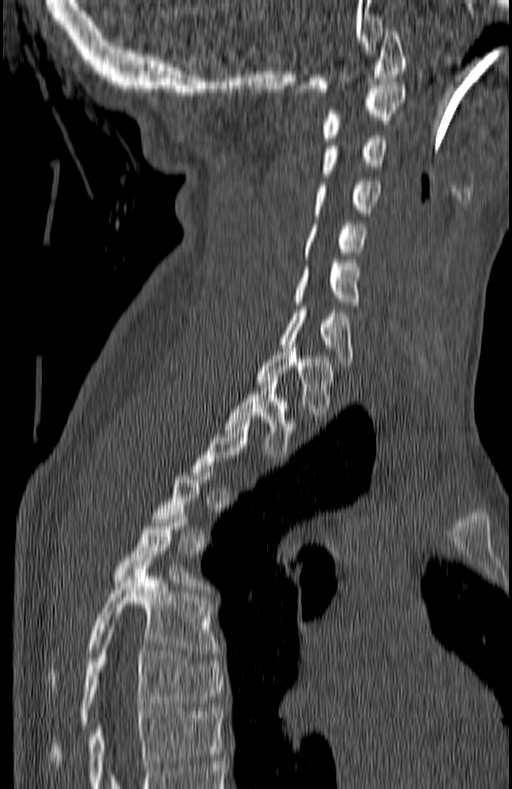 Spine CT; sagittal view. Each box given as x1,y1,x2,y2.
Not every vertebra on this slice has a box: a vertebra is boxed only from the first to the last slice where its cross-section is at least a third of its largest, and this slice is outside that range for at least one of them.
| vertebra | x1 | y1 | x2 | y2 |
|---|---|---|---|---|
| C1 | 293 | 28 | 407 | 95 |
| C2 | 322 | 85 | 407 | 141 |
| C3 | 322 | 135 | 387 | 177 |
| C4 | 314 | 181 | 381 | 212 |
| C5 | 302 | 224 | 367 | 255 |
| C6 | 294 | 260 | 358 | 308 |
| C7 | 283 | 306 | 353 | 365 |
| T1 | 257 | 348 | 333 | 415 |
| T2 | 226 | 380 | 293 | 458 |
| T5 | 114 | 512 | 190 | 582 |
| T6 | 49 | 562 | 216 | 692 |
| T7 | 49 | 629 | 222 | 763 |